Spine CT; sagittal reformat; bone window; 417x683 px
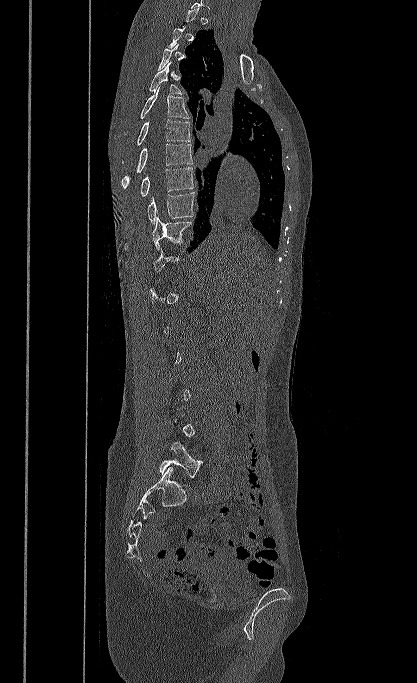
Coordinates as <box>x1,y1,x2,y2</box>.
Each vertebra is boxed only on the slices from the first to the last where its cross-section reaches a third of its largest, so a slice outside that range leaves it unboxed.
L5: <box>159,441,202,478</box>
T10: <box>152,216,193,250</box>
T9: <box>147,192,195,224</box>
T8: <box>140,167,194,196</box>
T7: <box>121,143,192,188</box>
T6: <box>136,119,190,145</box>
T5: <box>140,86,189,118</box>
T4: <box>149,62,182,94</box>